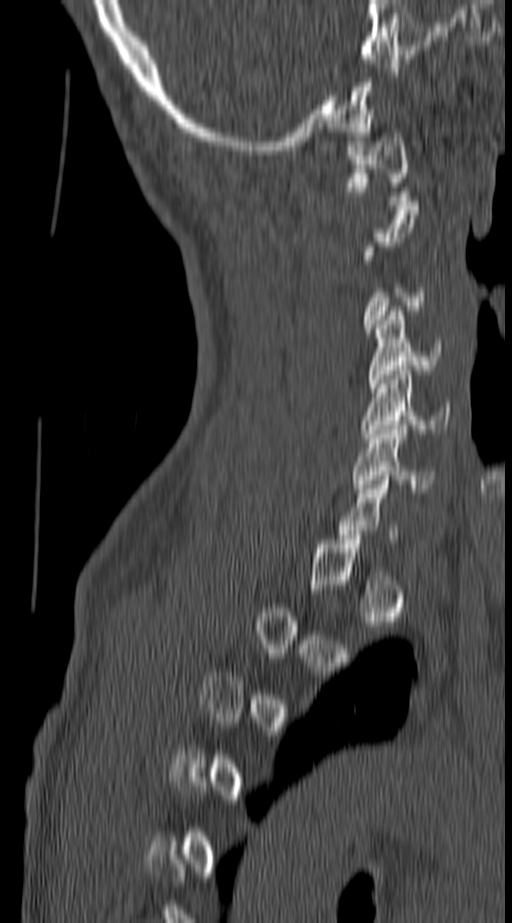 Spine computed tomography. sagittal view. Bone window (WL 400, WW 1800)
Box edges are left/top/right/bottom in pixels.
Not every vertebra on this slice has a box: a vertebra is boxed only from the first to the last slice where its cross-section is at least a third of its largest, and this slice is outside that range for at least one of them.
Vertebra bounding boxes:
- C6: left=351, top=425, right=437, bottom=493
- C5: left=361, top=370, right=450, bottom=442
- C4: left=367, top=311, right=441, bottom=388
- C1: left=345, top=133, right=410, bottom=205